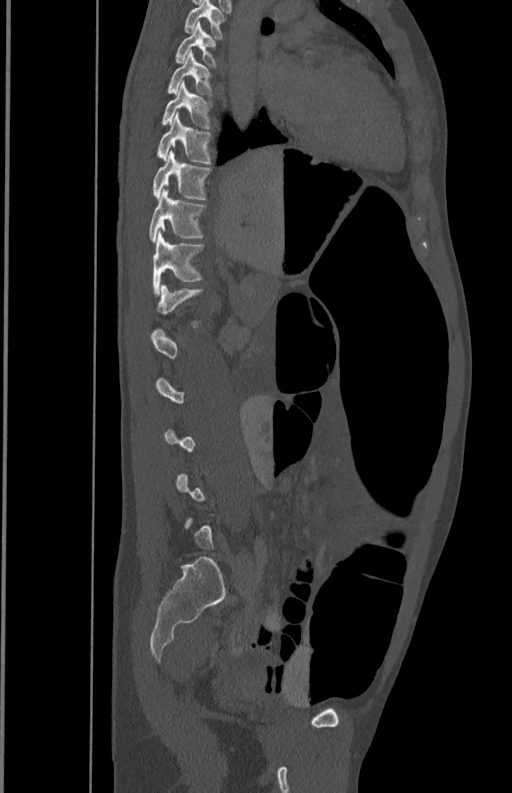

Computed tomography of the spine · image width 350 mm · sagittal reformat · 512x793 px
Each vertebra is boxed only on the slices from the first to the last where its cross-section reaches a third of its largest, so a slice outside that range leaves it unboxed.
<vertebrae><v name="T5" x1="184" y1="1" x2="224" y2="38"/><v name="T6" x1="175" y1="22" x2="217" y2="66"/><v name="T7" x1="167" y1="51" x2="212" y2="95"/><v name="T8" x1="161" y1="82" x2="212" y2="128"/><v name="T9" x1="156" y1="113" x2="211" y2="164"/><v name="T10" x1="152" y1="150" x2="211" y2="199"/><v name="T11" x1="149" y1="188" x2="205" y2="243"/><v name="T12" x1="152" y1="232" x2="204" y2="291"/></vertebrae>